Spine computed tomography — Sagittal slice 153/250 — bone window — 18 vertebrae labeled in this scan
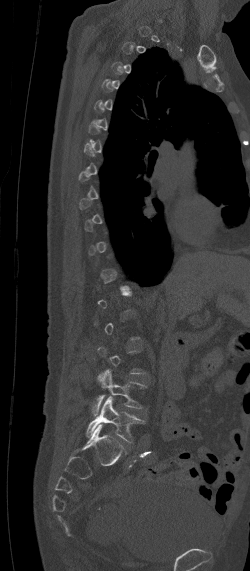
Boxes: x1:y1:x2:y2 in pixels.
A vertebra gets a box only on the slices from the first to the last where its cross-section is at least a third of its largest; on a slice outside that range it gets none.
Vertebra bounding boxes:
- L4: 89:369:146:415
- L5: 85:395:145:442